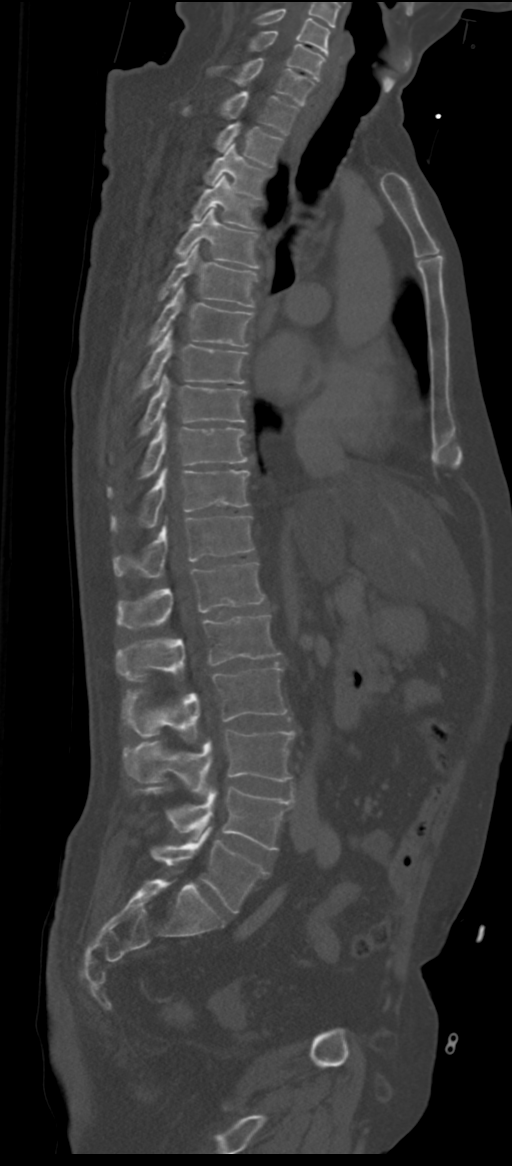
CT spine. sagittal view. bone window. image 311 mm wide
Bounding boxes as [x1, y1, x2, y2] in pixel coordinates. In these labels the spine has an L6, a sixth lumbar vertebra below L5. 21 vertebrae labeled — L6 at [150, 827, 268, 913]; L5 at [144, 788, 292, 849]; L4 at [127, 730, 294, 795]; L3 at [122, 666, 287, 740]; L2 at [116, 615, 279, 679]; L1 at [117, 562, 264, 628]; T12 at [114, 516, 253, 577]; T11 at [111, 468, 250, 531]; T10 at [107, 419, 246, 497]; T9 at [140, 374, 246, 434]; T8 at [139, 330, 246, 393]; T7 at [148, 285, 253, 347]; T6 at [158, 244, 256, 306]; T5 at [176, 208, 259, 268]; T4 at [193, 175, 258, 228]; T3 at [204, 144, 268, 197]; T2 at [216, 122, 282, 166]; T1 at [185, 91, 297, 134]; C7 at [213, 58, 314, 105]; C6 at [249, 32, 325, 80]; C5 at [257, 9, 329, 55].